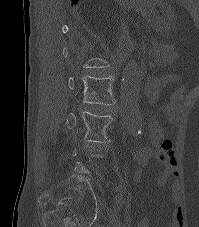

Spine computed tomography. sagittal view
Box edges are left/top/right/bottom in pixels. Each vertebra is boxed only on the slices from the first to the last where its cross-section reaches a third of its largest, so a slice outside that range leaves it unboxed. The labeled vertebrae in this slice are: L2 at left=68, top=76, right=115, bottom=105, L3 at left=66, top=111, right=112, bottom=142.